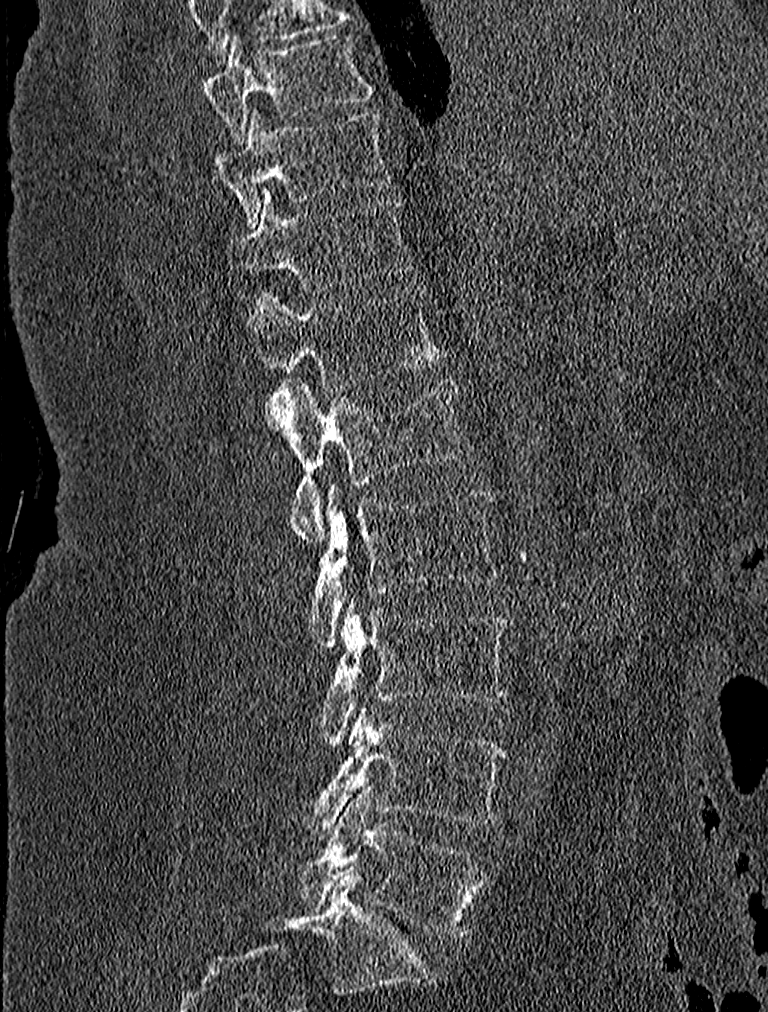
Spine computed tomography · sagittal view · bone window

<vertebrae><v name="T9" x1="202" y1="33" x2="373" y2="147"/><v name="T10" x1="212" y1="110" x2="394" y2="226"/><v name="T11" x1="228" y1="190" x2="414" y2="290"/><v name="T12" x1="252" y1="288" x2="441" y2="392"/><v name="L1" x1="261" y1="376" x2="475" y2="544"/><v name="L2" x1="310" y1="484" x2="499" y2="648"/><v name="L3" x1="320" y1="597" x2="512" y2="745"/><v name="L4" x1="297" y1="709" x2="507" y2="839"/><v name="L5" x1="300" y1="787" x2="485" y2="938"/></vertebrae>